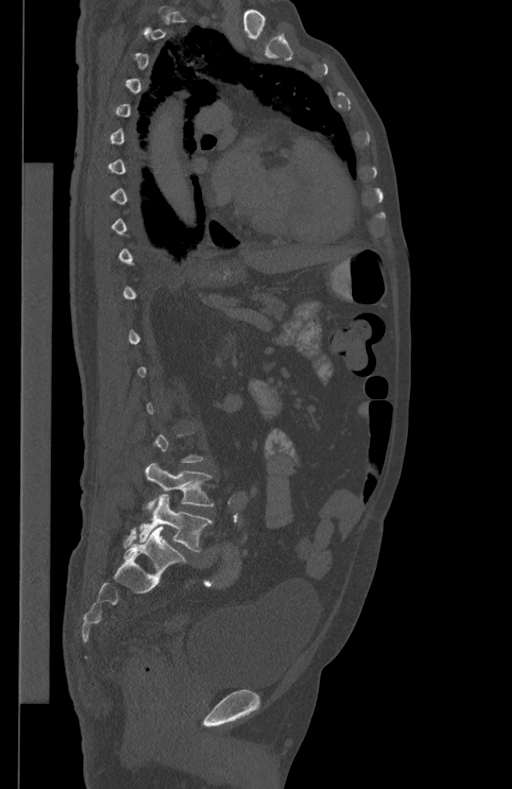

Spine computed tomography · sagittal view · W/L 1800/400 HU

Each vertebra is boxed only on the slices from the first to the last where its cross-section reaches a third of its largest, so a slice outside that range leaves it unboxed.
<vertebrae><v name="L4" x1="145" y1="463" x2="214" y2="507"/><v name="L5" x1="138" y1="494" x2="212" y2="551"/></vertebrae>